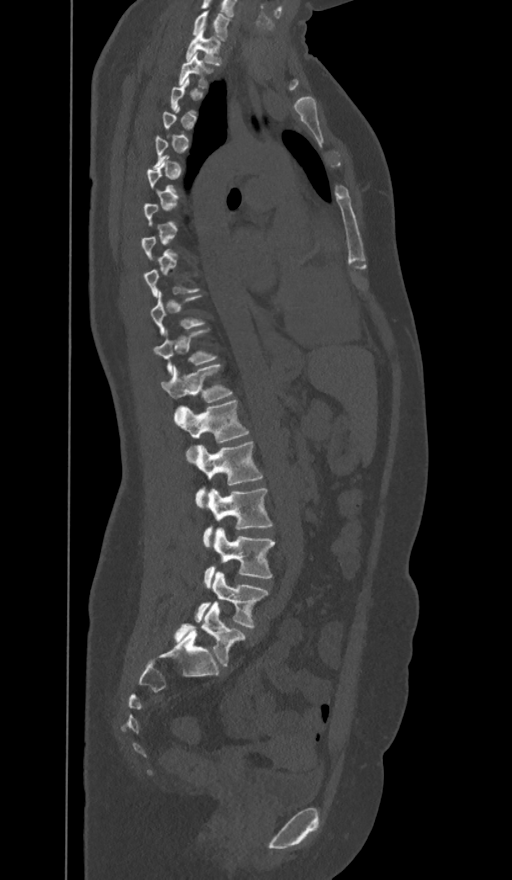

CT · sagittal view · the image spans 374 mm across · 512x880 px. Each row gives a vertebra's box as x1, y1, x2, y2 in pixels: top-left corner, then bottom-right corner.
A vertebra gets a box only on the slices from the first to the last where its cross-section is at least a third of its largest; on a slice outside that range it gets none.
In these labels the spine has an L6, a sixth lumbar vertebra below L5.
| vertebra | x1 | y1 | x2 | y2 |
|---|---|---|---|---|
| C7 | 193 | 11 | 229 | 40 |
| T1 | 186 | 28 | 221 | 64 |
| T2 | 179 | 54 | 210 | 88 |
| T11 | 153 | 329 | 216 | 372 |
| T12 | 161 | 363 | 232 | 417 |
| L1 | 174 | 400 | 248 | 451 |
| L2 | 194 | 442 | 262 | 507 |
| L3 | 204 | 488 | 271 | 546 |
| L4 | 204 | 529 | 274 | 587 |
| L5 | 196 | 572 | 267 | 627 |
| L6 | 174 | 602 | 245 | 667 |